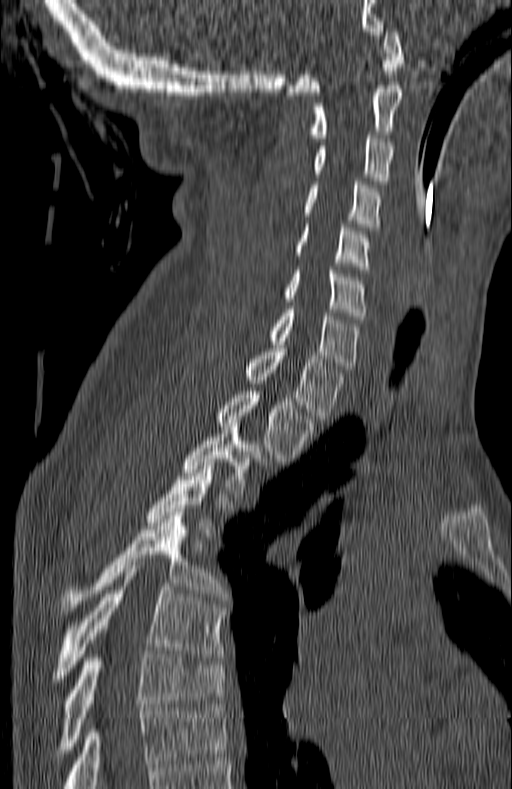 Computed tomography of the spine; sagittal view; the image is 180 mm wide; bone-window reconstruction; 512x789 px
Boxes are (x1, y1, x2, y2) in pixels.
Labels in this scan begin with C1 at the top and end with T7 at the bottom.
Vertebra bounding boxes:
- T7: (61, 651, 225, 753)
- T6: (58, 569, 225, 682)
- T5: (61, 512, 227, 611)
- T4: (146, 462, 213, 536)
- T3: (183, 430, 267, 497)
- T2: (214, 391, 316, 465)
- T1: (243, 348, 344, 419)
- C7: (268, 309, 358, 369)
- C6: (283, 270, 367, 319)
- C5: (294, 224, 370, 269)
- C4: (302, 181, 381, 230)
- C3: (314, 135, 393, 184)
- C2: (308, 85, 401, 141)
- C1: (287, 28, 404, 95)